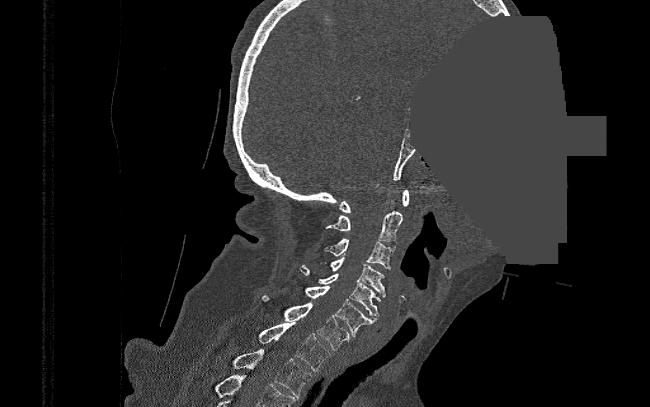 CT. 390 mm image width. sagittal view. part of the image has been replaced by a constant value
<vertebrae><v name="C1" x1="339" y1="190" x2="409" y2="213"/><v name="C2" x1="326" y1="211" x2="403" y2="241"/><v name="C3" x1="324" y1="239" x2="395" y2="269"/><v name="C4" x1="320" y1="257" x2="385" y2="296"/><v name="C5" x1="298" y1="266" x2="381" y2="316"/><v name="C6" x1="305" y1="286" x2="377" y2="336"/><v name="C7" x1="265" y1="296" x2="351" y2="350"/><v name="T1" x1="258" y1="322" x2="330" y2="371"/><v name="T2" x1="232" y1="349" x2="311" y2="398"/></vertebrae>